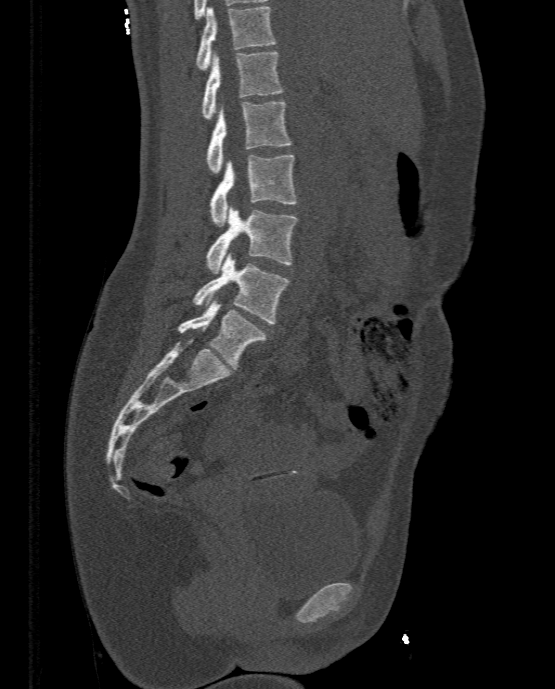 CT · sagittal reformat · 333 mm image width

Boxes: x1:y1:x2:y2 in pixels.
T11: 196:6:275:70
T12: 202:51:282:119
L1: 206:101:292:173
L2: 209:154:297:226
L3: 206:207:297:273
L4: 193:252:288:323
L5: 178:300:266:370